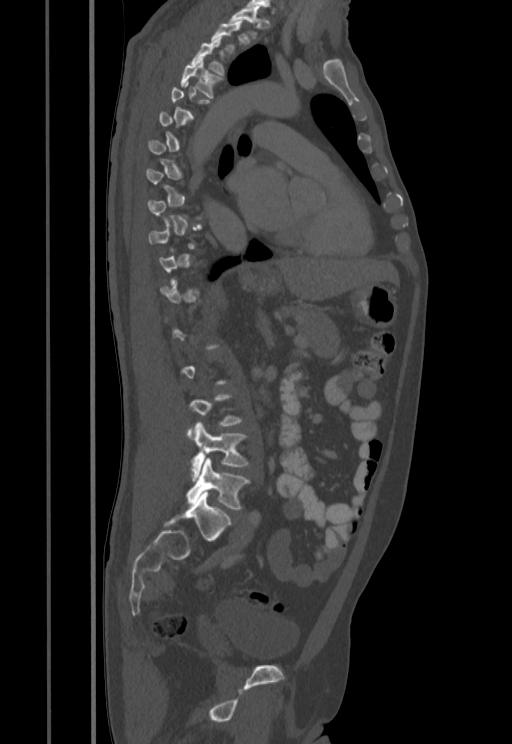 CT; sagittal view; W/L 1800/400 HU; 512x744 px
Bounding boxes as [x1, y1, x2, y2] in pixel coordinates.
A vertebra gets a box only on the slices from the first to the last where its cross-section is at least a third of its largest; on a slice outside that range it gets none.
Vertebra bounding boxes:
- L5: [187, 459, 249, 510]
- L4: [191, 422, 249, 480]
- T4: [180, 59, 222, 97]
- T3: [191, 37, 224, 75]
- T1: [229, 8, 260, 38]